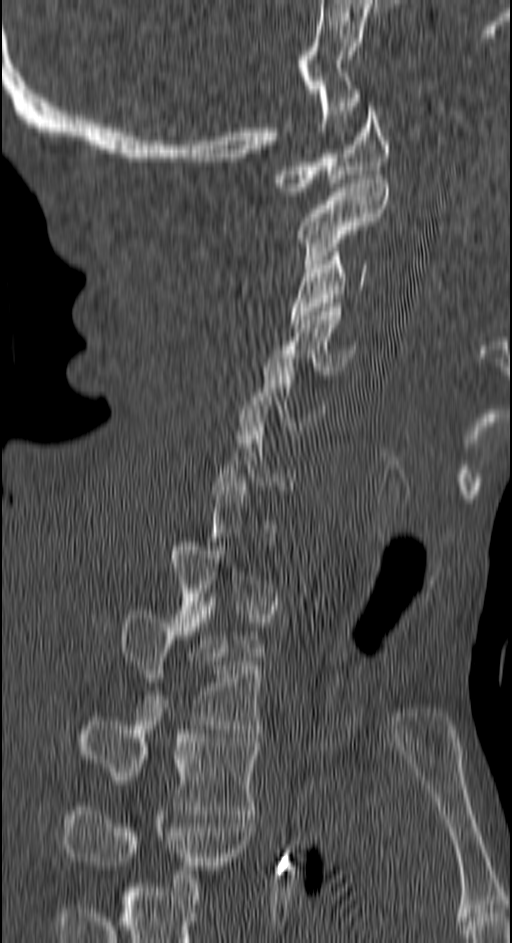 CT. sagittal view. bone window
Box edges are left/top/right/bottom in pixels.
Not every vertebra on this slice has a box: a vertebra is boxed only from the first to the last slice where its cross-section is at least a third of its largest, and this slice is outside that range for at least one of them.
Labels in this scan begin with C1 at the top and end with T4 at the bottom.
C1: left=271, top=102, right=389, bottom=195
C2: left=295, top=179, right=389, bottom=268
C3: left=291, top=247, right=368, bottom=328
C4: left=271, top=303, right=355, bottom=374
C5: left=240, top=354, right=325, bottom=434
T2: left=121, top=610, right=263, bottom=729
T3: left=83, top=713, right=260, bottom=814
T4: left=66, top=811, right=253, bottom=895